CT, spine · Sagittal slice 196/427 · 427x472 px
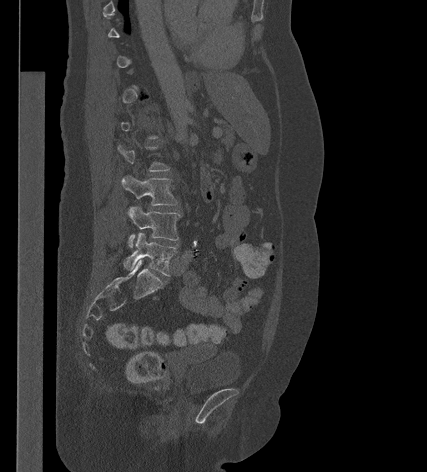 Bounding boxes as [x1, y1, x2, y2] in pixel coordinates. Not every vertebra on this slice has a box: a vertebra is boxed only from the first to the last slice where its cross-section is at least a third of its largest, and this slice is outside that range for at least one of them. Vertebrae labeled: L3 at [121, 175, 178, 205], L4 at [127, 205, 180, 247], L5 at [124, 233, 177, 276].